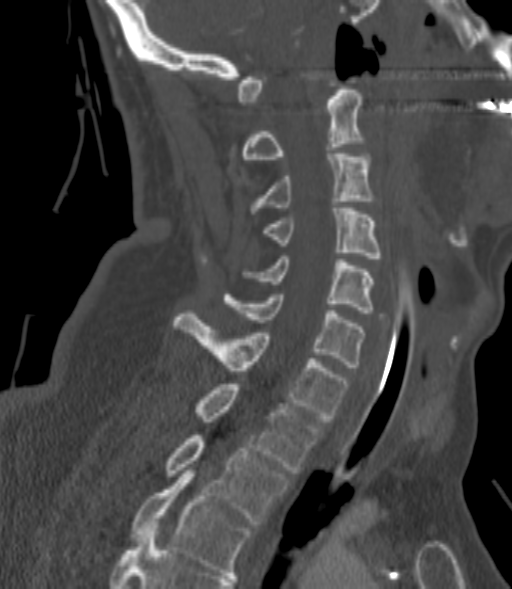
CT spine; sagittal view; 512x589 px
Box edges are left/top/right/bottom in pixels.
Each vertebra is boxed only on the slices from the first to the last where its cross-section reaches a third of its largest, so a slice outside that range leaves it unboxed.
| vertebra | x1 | y1 | x2 | y2 |
|---|---|---|---|---|
| C2 | 241 | 90 | 363 | 159 |
| C3 | 250 | 154 | 374 | 213 |
| C4 | 262 | 208 | 381 | 261 |
| C5 | 243 | 256 | 374 | 313 |
| C6 | 224 | 294 | 363 | 367 |
| C7 | 175 | 314 | 348 | 421 |
| T1 | 195 | 384 | 320 | 473 |
| T2 | 167 | 435 | 287 | 524 |
| T3 | 131 | 470 | 251 | 575 |